Spine CT — Sagittal slice 209/369 — 369x669 px
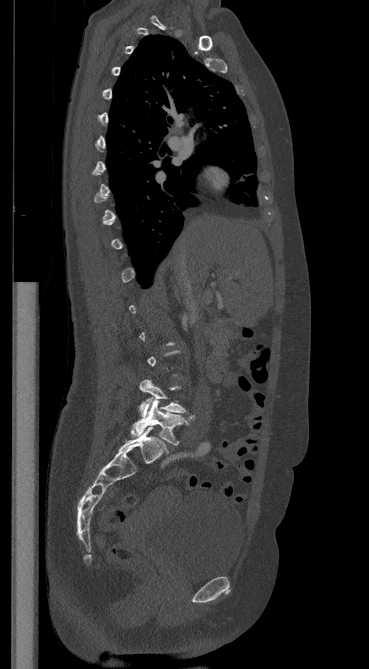 Each row gives a vertebra's box as x1, y1, x2, y2 in pixels: top-left corner, then bottom-right corner.
A vertebra gets a box only on the slices from the first to the last where its cross-section is at least a third of its largest; on a slice outside that range it gets none.
| vertebra | x1 | y1 | x2 | y2 |
|---|---|---|---|---|
| L4 | 139 | 379 | 186 | 417 |
| L5 | 131 | 399 | 194 | 445 |